Computed tomography of the spine. sagittal view
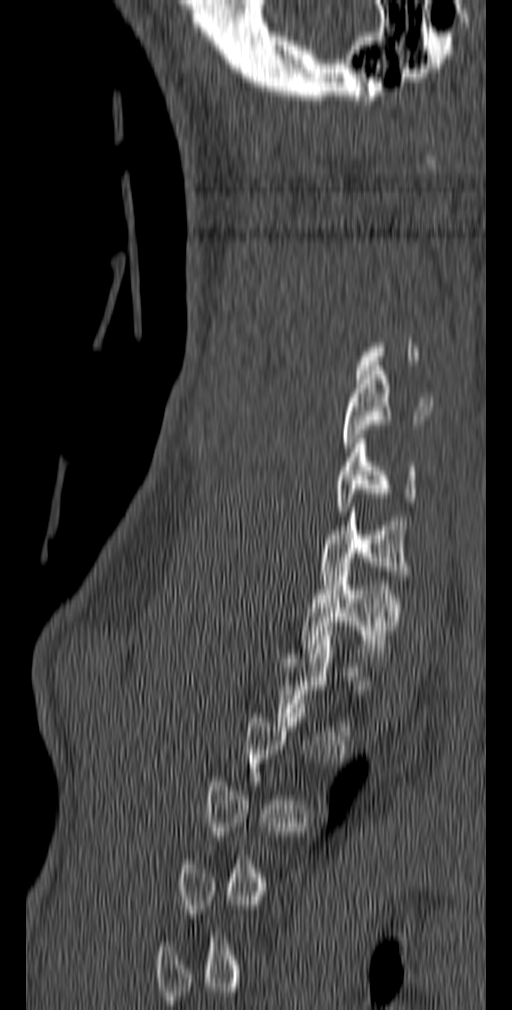

Boxes: x1:y1:x2:y2 in pixels. A vertebra is boxed only from the first to the last slice where its cross-section is at least a third of its largest; slices outside that range leave it without a box. The labeled vertebrae in this slice are: T1 at 302:567:400:662, C7 at 320:507:408:584, C6 at 336:434:418:511, C5 at 341:366:432:452.